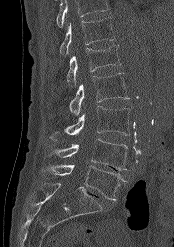 Spine computed tomography · sagittal view · bone window · 174x247 px

No box is given to a vertebra that the top edge of the scan cuts off.
<vertebrae><v name="T12" x1="59" y1="17" x2="115" y2="55"/><v name="L1" x1="66" y1="45" x2="121" y2="86"/><v name="L2" x1="69" y1="73" x2="129" y2="115"/><v name="L3" x1="50" y1="106" x2="130" y2="140"/><v name="L4" x1="46" y1="138" x2="127" y2="170"/><v name="L5" x1="41" y1="164" x2="125" y2="201"/></vertebrae>